Spine computed tomography; sagittal reformat; image 477 mm wide; 9 vertebrae labeled in this scan
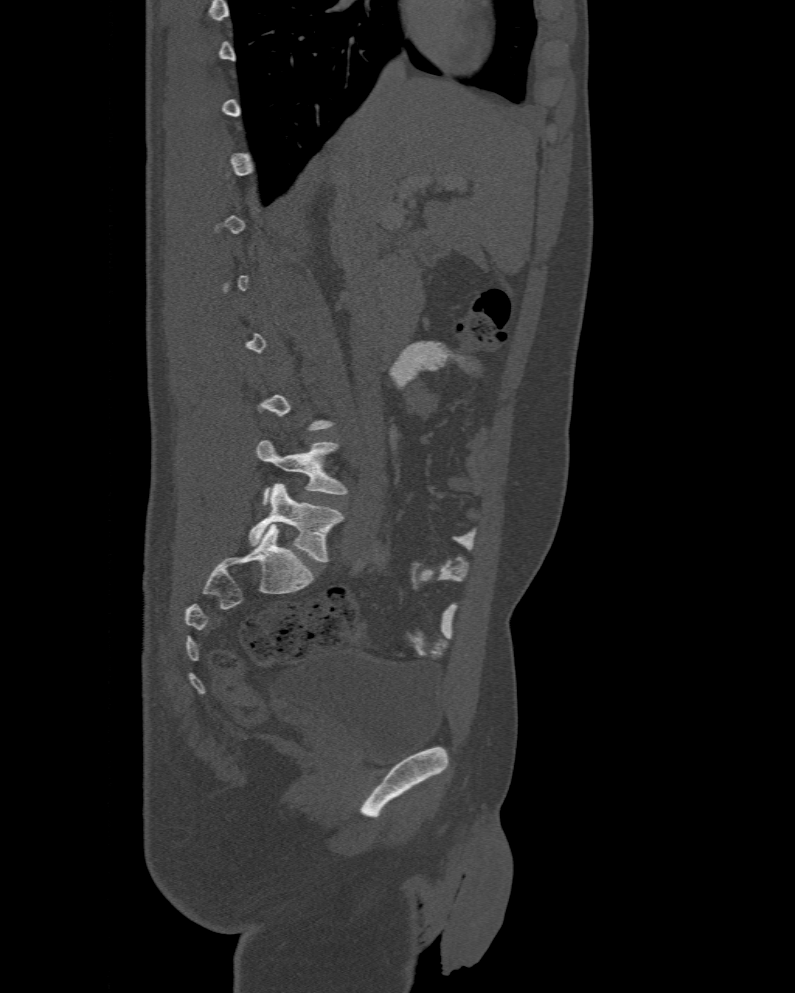

Box edges are left/top/right/bottom in pixels.
A vertebra is boxed only from the first to the last slice where its cross-section is at least a third of its largest; slices outside that range leave it without a box.
These labels give the spine a sixth lumbar vertebra, L6, below L5.
Vertebra bounding boxes:
- L5: left=256, top=440, right=345, bottom=504
- L6: left=248, top=483, right=342, bottom=562